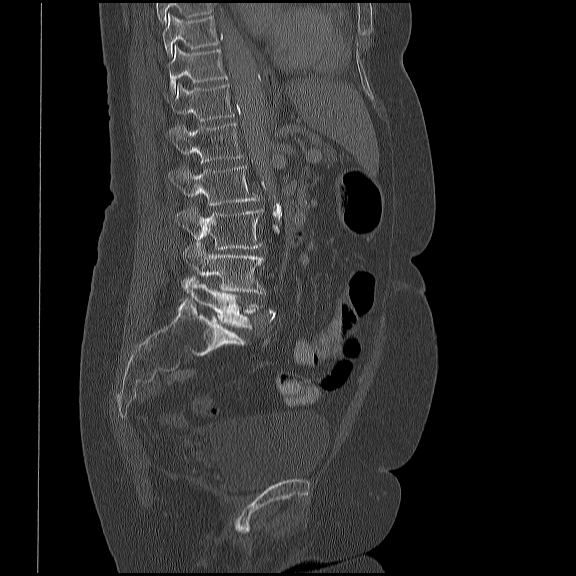 Spine CT. sagittal view. bone-window reconstruction
Box values are [left, top, right, bottom] in pixels.
In this scan, the topmost labeled vertebra is T10 and the lowest is L5.
{"vertebrae":{"L5":[190,282,259,328],"L4":[182,242,265,294],"L3":[175,207,263,250],"L2":[168,165,259,206],"L1":[168,122,243,163],"T12":[170,83,235,121],"T11":[168,46,228,93],"T10":[163,14,222,55]}}